Computed tomography of the spine · sagittal view
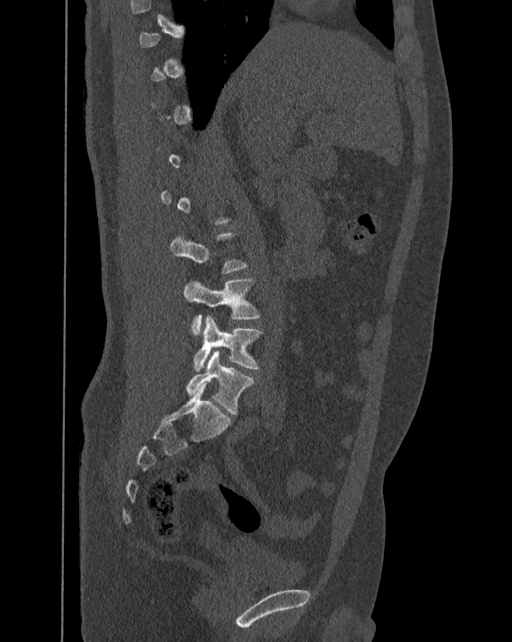 Box values are [left, top, right, bottom] in pixels.
A vertebra gets a box only on the slices from the first to the last where its cross-section is at least a third of its largest; on a slice outside that range it gets none.
The labels name a sixth lumbar vertebra for this spine: L6, after L5.
{"vertebrae":{"L6":[186,350,254,414],"L5":[193,315,263,370],"L4":[184,279,260,335]}}